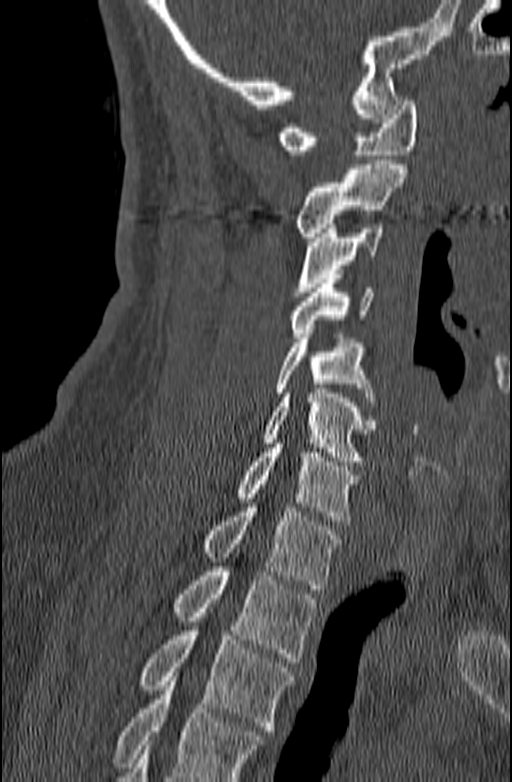 Spine CT · sagittal view · the image is 140 mm wide · Bone window (WL 400, WW 1800) · 512x782 px. In the table, x1 and y1 are a box's top-left corner and x2 and y2 its bottom-right corner, in pixels.
No box is given to a vertebra that the bottom edge of the scan cuts off.
| vertebra | x1 | y1 | x2 | y2 |
|---|---|---|---|---|
| C1 | 278 | 96 | 417 | 154 |
| C2 | 294 | 165 | 406 | 241 |
| C3 | 295 | 224 | 383 | 296 |
| C4 | 290 | 274 | 373 | 337 |
| C5 | 275 | 334 | 376 | 406 |
| C6 | 261 | 384 | 375 | 461 |
| C7 | 235 | 443 | 359 | 525 |
| T1 | 202 | 503 | 340 | 589 |
| T2 | 173 | 567 | 317 | 662 |
| T3 | 140 | 631 | 292 | 735 |